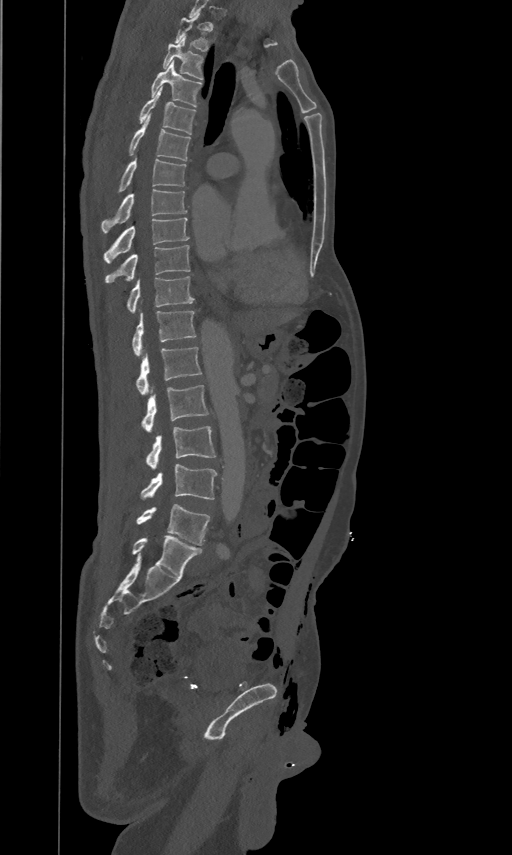
Spine computed tomography · image 461 mm wide · sagittal view
Box values are [left, top, right, bottom] in pixels.
The highest labeled vertebra in this scan is T2; the lowest is L5.
{"vertebrae":{"T2":[175,13,207,51],"T3":[163,36,203,79],"T4":[151,60,201,107],"T5":[139,86,195,134],"T6":[129,113,190,160],"T7":[118,156,186,191],"T8":[101,189,187,232],"T9":[104,216,189,262],"T10":[105,244,190,282],"T11":[127,275,193,312],"T12":[132,310,195,355],"L1":[136,346,201,394],"L2":[141,384,207,432],"L3":[146,425,215,469],"L4":[141,464,216,500],"L5":[136,504,210,544]}}